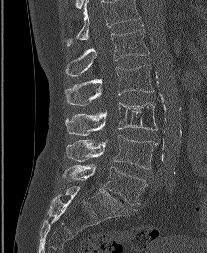
Computed tomography of the spine. 207 mm wide. sagittal view. bone-window reconstruction

Box values are [left, top, right, bottom] in pixels.
Labels in this scan begin with L1 at the top and end with L5 at the bottom.
{"vertebrae":{"L5":[63,165,145,204],"L4":[66,135,158,169],"L3":[65,102,157,135],"L2":[65,64,153,105],"L1":[65,25,148,76]}}